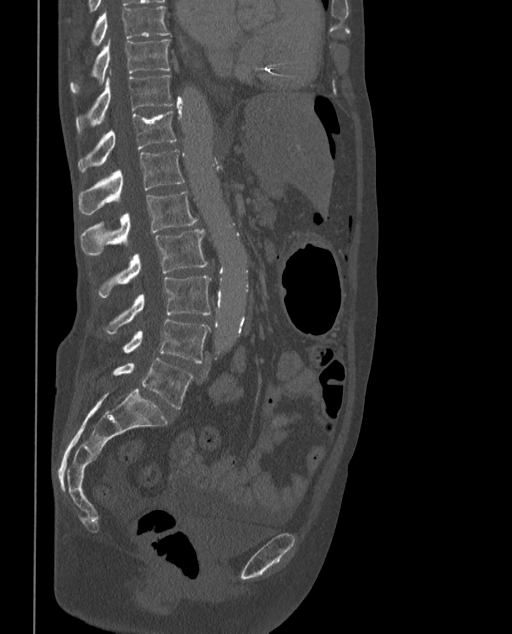

Spine computed tomography · 373 mm image width · sagittal reformat · W/L 1800/400 HU

Boxes: x1 y1 x2 y2 (pixel coords, space-separated).
These labels give the spine a sixth lumbar vertebra, L6, below L5.
L6: 111 358 192 409
L5: 122 320 210 362
L4: 103 275 210 333
L3: 96 229 207 297
L2: 81 190 198 253
L1: 78 149 184 214
T12: 78 111 177 172
T11: 75 70 173 134
T10: 70 38 170 92
T9: 92 5 170 46